Spine computed tomography; sagittal plane, index 157; W/L 1800/400 HU; 369x669 px
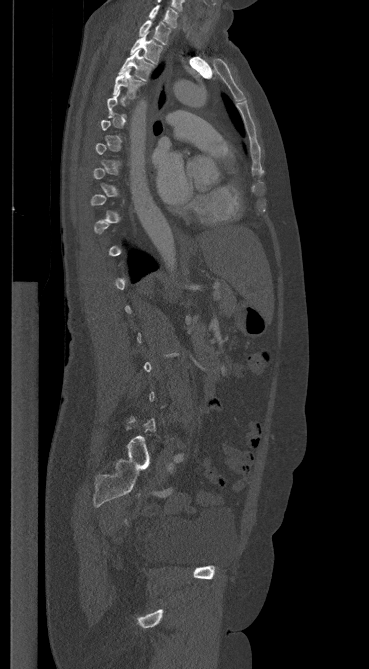 Each box given as x1,y1,x2,y2.
Not every vertebra on this slice has a box: a vertebra is boxed only from the first to the last slice where its cross-section is at least a third of its largest, and this slice is outside that range for at least one of them.
| vertebra | x1 | y1 | x2 | y2 |
|---|---|---|---|---|
| C7 | 148 | 4 | 177 | 27 |
| T1 | 139 | 20 | 170 | 44 |
| T2 | 130 | 32 | 162 | 63 |
| T3 | 119 | 50 | 153 | 81 |
| T4 | 113 | 68 | 143 | 98 |